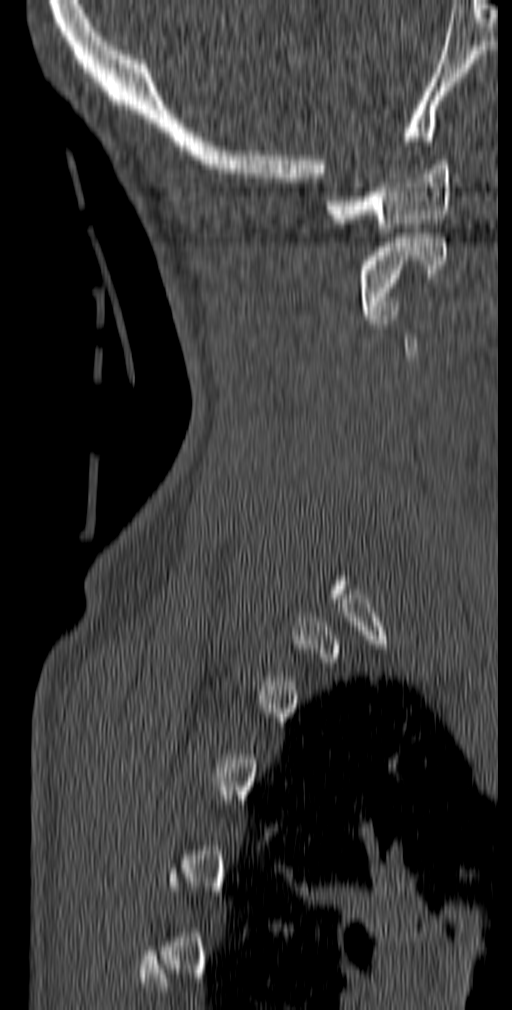 Spine CT. image 140 mm wide. sagittal view. Bone window (WL 400, WW 1800)
Boxes below are [x1, y1, x2, y2] in pixels.
Not every vertebra on this slice has a box: a vertebra is boxed only from the first to the last slice where its cross-section is at least a third of its largest, and this slice is outside that range for at least one of them.
{"vertebrae":{"C2":[360,233,447,319],"C1":[325,160,450,232]}}